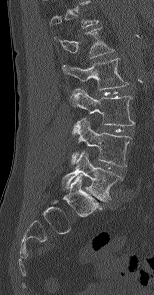 CT spine — sagittal reformat. Each box given as x1,y1,x2,y2.
The highest labeled vertebra in this scan is L1; the lowest is L5.
Vertebra bounding boxes:
- L5: x1=62, y1=151, x2=123, y2=201
- L4: x1=71, y1=117, x2=131, y2=166
- L3: x1=70, y1=88, x2=134, y2=125
- L2: x1=62, y1=58, x2=127, y2=89
- L1: x1=54, y1=28, x2=113, y2=58